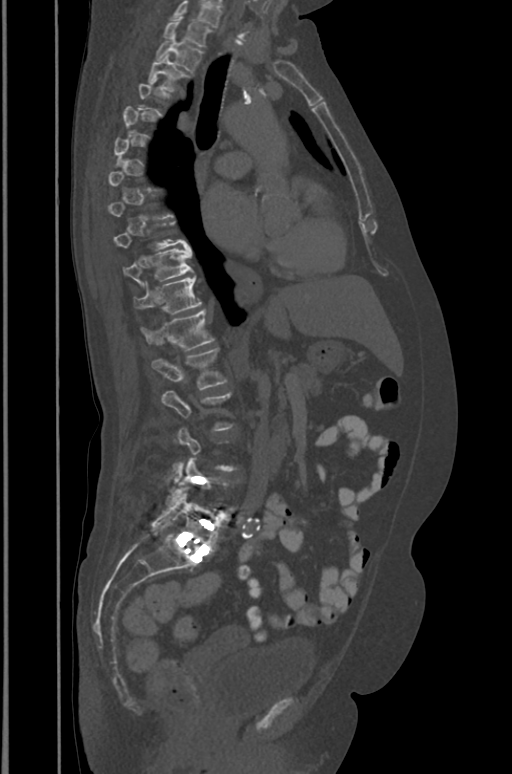 CT, spine; sagittal view

Coordinates as <box>x1,y1,x2,y2</box>. A vertebra gets a box only on the slices from the first to the last where its cross-section is at least a third of its largest; on a slice outside that range it gets none. This scan's labels start at T1 at the top and end at L5 at the bottom. 9 vertebrae labeled — T1 at <box>162,17,211,47</box>; T2 at <box>156,36,203,71</box>; T3 at <box>148,56,189,90</box>; T9 at <box>114,222,188,249</box>; T10 at <box>123,247,192,284</box>; T11 at <box>134,277,202,315</box>; T12 at <box>141,310,214,349</box>; L1 at <box>152,348,227,389</box>; L5 at <box>152,490,222,549</box>.